Spine CT — sagittal plane, index 86 — scan covers 5 annotated vertebrae
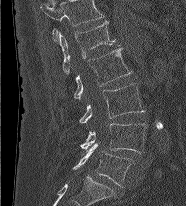

Bounding boxes as [x1, y1, x2, y2] in pixel coordinates.
In this scan, the topmost labeled vertebra is L1 and the lowest is L5.
Vertebra bounding boxes:
- L1: [59, 20, 115, 74]
- L2: [74, 48, 132, 100]
- L3: [79, 83, 144, 123]
- L4: [80, 123, 149, 154]
- L5: [73, 143, 133, 187]